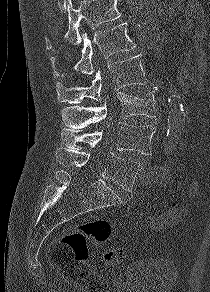
CT, spine · sagittal view · bone window · 210x292 px
A vertebra cut off by the top edge of the scan is not labeled and has no box.
<vertebrae><v name="L1" x1="50" y1="22" x2="135" y2="77"/><v name="L2" x1="56" y1="53" x2="147" y2="103"/><v name="L3" x1="62" y1="87" x2="159" y2="128"/><v name="L4" x1="61" y1="122" x2="155" y2="155"/><v name="L5" x1="55" y1="148" x2="141" y2="191"/></vertebrae>